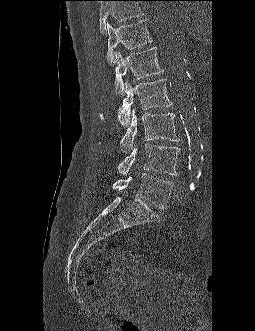

Spine computed tomography · sagittal view · bone-window reconstruction · 255x331 px

A vertebra cut off by the top edge of the scan is not labeled and has no box.
<vertebrae><v name="L5" x1="112" y1="173" x2="173" y2="209"/><v name="L4" x1="117" y1="143" x2="179" y2="175"/><v name="L3" x1="120" y1="104" x2="178" y2="153"/><v name="L2" x1="100" y1="79" x2="172" y2="126"/><v name="L1" x1="114" y1="46" x2="163" y2="94"/><v name="T12" x1="106" y1="20" x2="152" y2="65"/></vertebrae>